CT, spine — Sagittal slice 305/512 — W/L 1800/400 HU — 512x760 px — 10 vertebrae labeled in this scan
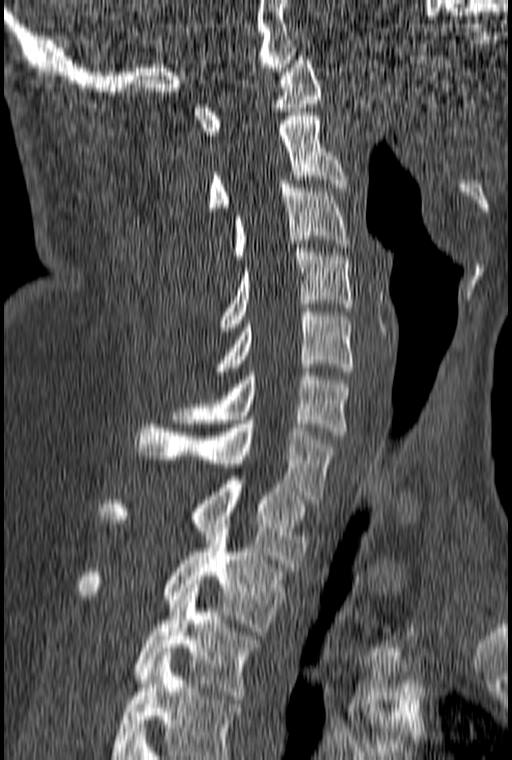 Bounding boxes as [x1, y1, x2, y2] in pixel coordinates.
This scan's labels start at C1 at the top and end at T3 at the bottom.
C1: [194, 56, 322, 135]
C2: [209, 112, 347, 211]
C3: [233, 180, 349, 259]
C4: [220, 248, 352, 327]
C5: [214, 308, 353, 371]
C6: [171, 372, 352, 435]
C7: [136, 420, 336, 503]
T1: [100, 480, 310, 571]
T2: [78, 524, 285, 635]
T3: [132, 584, 263, 699]